Spine computed tomography · sagittal plane, index 270 · 8 vertebrae labeled in this scan
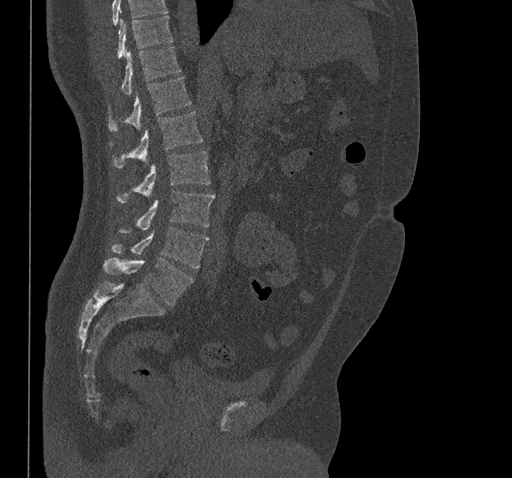
Coordinates as <box>x1,y1,x2,y2</box>.
Where the top of the scan cuts through a vertebra, that vertebra gets no label or box.
L5: <box>103,257,193,305</box>
L4: <box>111,227,208,268</box>
L3: <box>119,190,215,233</box>
L2: <box>117,151,210,203</box>
L1: <box>110,111,203,168</box>
T12: <box>109,77,191,131</box>
T11: <box>121,47,181,95</box>
T10: <box>117,16,173,58</box>